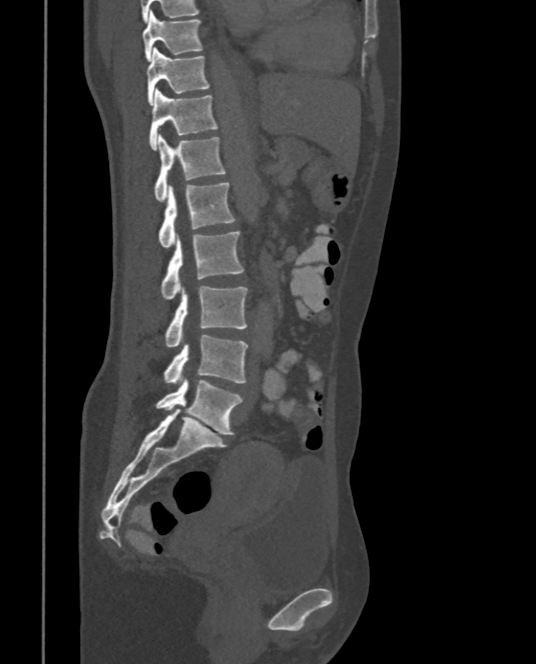
CT — sagittal view

Each box is [x1, y1, x2, y2] in pixels: top-left corner, then bottom-right corner.
{"vertebrae":{"T9":[142,11,202,61],"T10":[146,47,209,105],"T11":[150,88,218,149],"T12":[154,134,225,202],"L1":[158,181,234,247],"L2":[161,231,243,299],"L3":[165,286,247,347],"L4":[164,334,247,385],"L5":[156,378,242,435]}}